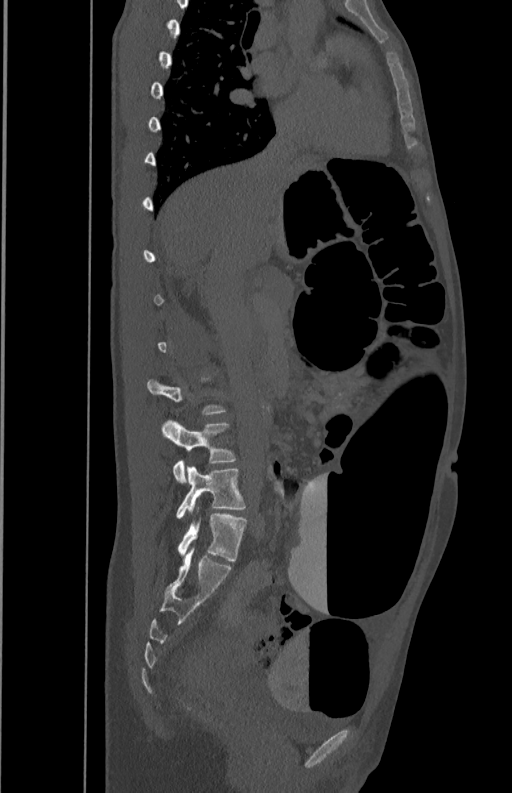 Computed tomography of the spine — 350 mm across the image — sagittal view

Columns x1, y1, x2, y2 give each box's top-left and bottom-right pixels.
Each vertebra is boxed only on the slices from the first to the last where its cross-section reaches a third of its largest, so a slice outside that range leaves it unboxed.
| vertebra | x1 | y1 | x2 | y2 |
|---|---|---|---|---|
| L4 | 162 | 420 | 234 | 483 |
| L5 | 177 | 465 | 246 | 518 |